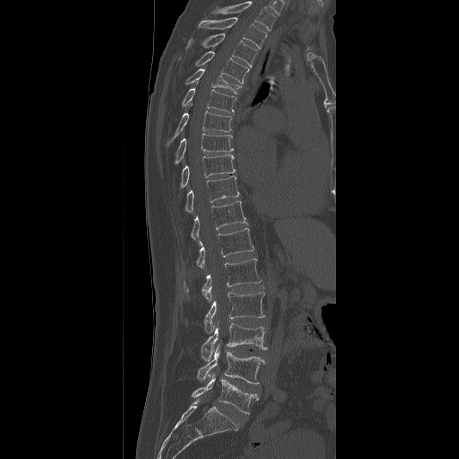

Spine CT — 459 mm image width — sagittal reformat — Bone window (WL 400, WW 1800) — 459x459 px. Boxes: x1:y1:x2:y2 in pixels. Labels in this scan begin with T2 at the top and end with L5 at the bottom. Vertebrae labeled: T2 at 198:17:267:48, T3 at 186:33:257:66, T4 at 175:51:249:84, T5 at 185:69:241:94, T6 at 163:88:236:121, T7 at 163:111:232:148, T8 at 173:133:233:163, T9 at 180:154:235:187, T10 at 171:176:239:218, T11 at 189:201:245:244, T12 at 181:228:253:269, L1 at 183:259:261:299, L2 at 204:292:265:333, L3 at 199:323:267:359, L4 at 196:347:265:383, L5 at 192:377:258:413.